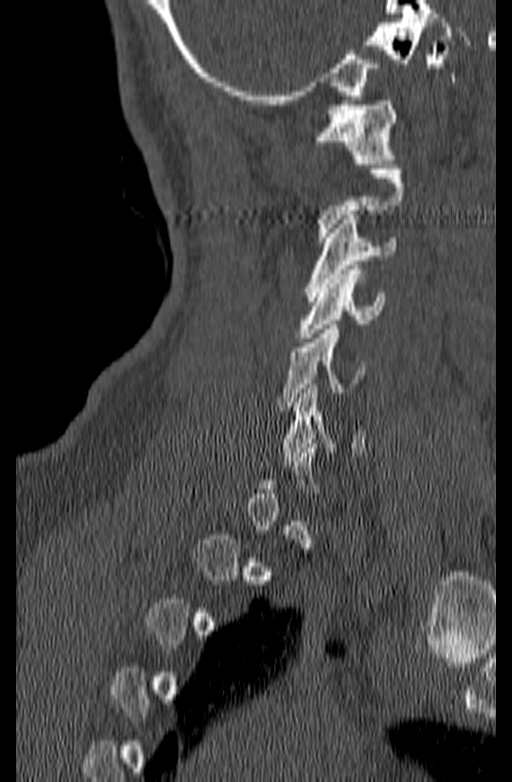 CT; sagittal view; 512x782 px; image width 140 mm

Each vertebra is boxed only on the slices from the first to the last where its cross-section reaches a third of its largest, so a slice outside that range leaves it unboxed.
<vertebrae><v name="C1" x1="314" y1="101" x2="395" y2="164"/><v name="C3" x1="305" y1="215" x2="395" y2="301"/><v name="C4" x1="297" y1="265" x2="385" y2="342"/><v name="C5" x1="275" y1="325" x2="365" y2="406"/><v name="C6" x1="282" y1="384" x2="364" y2="461"/></vertebrae>